Computed tomography of the spine · Sagittal slice 226/512 · 16 vertebrae labeled in this scan
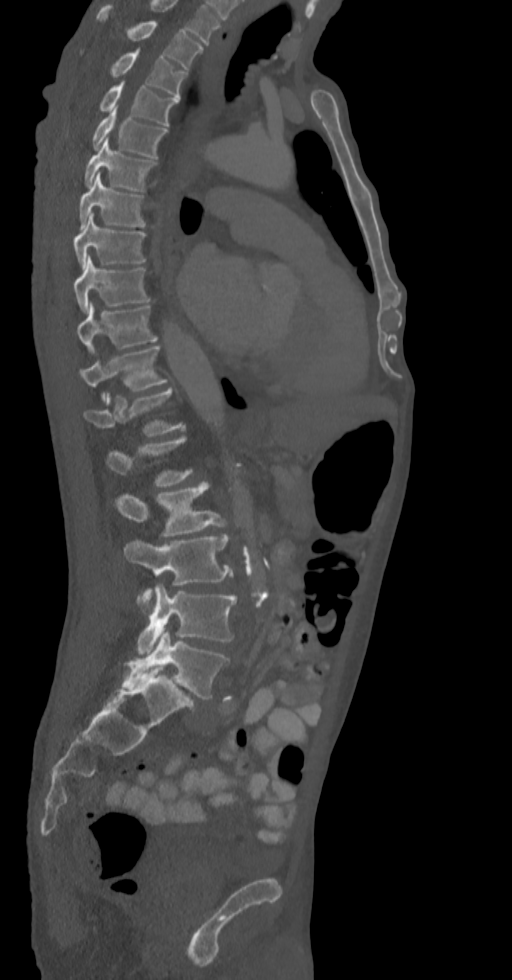

Boxes are given in columns x1, y1, x2, y2, the pixel coordinates of their top-left and bottom-right corners.
A vertebra is boxed only from the first to the last slice where its cross-section is at least a third of its largest; slices outside that range leave it without a box.
| vertebra | x1 | y1 | x2 | y2 |
|---|---|---|---|---|
| T2 | 97 | 5 | 203 | 69 |
| T3 | 111 | 49 | 185 | 98 |
| T4 | 100 | 81 | 177 | 125 |
| T5 | 93 | 107 | 166 | 157 |
| T6 | 85 | 137 | 156 | 191 |
| T7 | 79 | 172 | 145 | 229 |
| T8 | 73 | 213 | 145 | 269 |
| T9 | 73 | 256 | 148 | 313 |
| T10 | 76 | 303 | 157 | 351 |
| T11 | 79 | 346 | 166 | 391 |
| T12 | 84 | 389 | 185 | 436 |
| L2 | 117 | 482 | 227 | 535 |
| L3 | 123 | 535 | 232 | 605 |
| L4 | 137 | 584 | 236 | 654 |
| L5 | 121 | 631 | 229 | 698 |